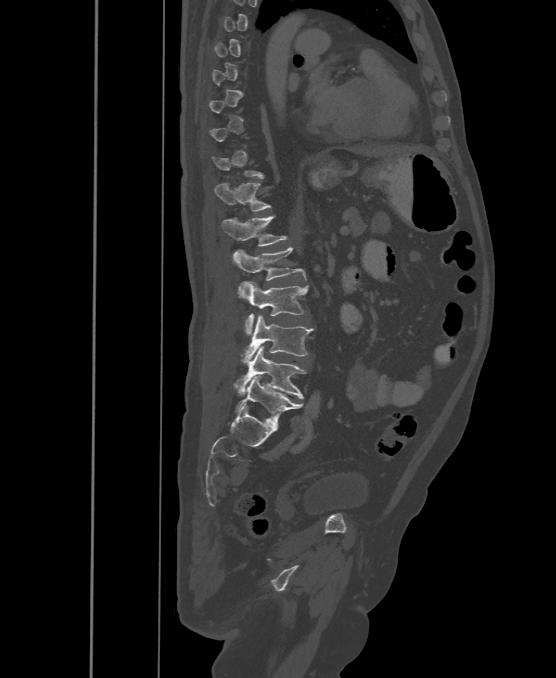 Spine CT — sagittal view
Not every vertebra on this slice has a box: a vertebra is boxed only from the first to the last slice where its cross-section is at least a third of its largest, and this slice is outside that range for at least one of them.
These labels give the spine a sixth lumbar vertebra, L6, below L5.
<vertebrae><v name="L6" x1="235" y1="376" x2="302" y2="425"/><v name="L5" x1="234" y1="346" x2="306" y2="398"/><v name="L4" x1="241" y1="315" x2="313" y2="364"/><v name="L3" x1="238" y1="281" x2="308" y2="335"/><v name="L2" x1="232" y1="247" x2="306" y2="280"/><v name="L1" x1="222" y1="216" x2="285" y2="246"/><v name="T12" x1="215" y1="183" x2="270" y2="212"/></vertebrae>